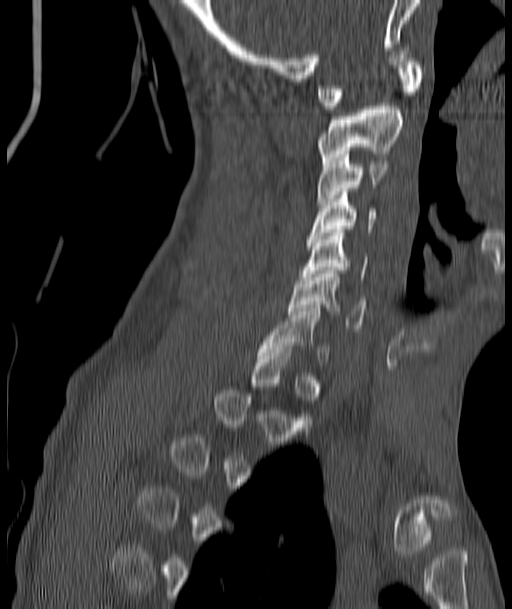

Spine CT · sagittal reformat · bone-window reconstruction

Box edges are left/top/right/bottom in pixels. A vertebra is boxed only from the first to the last slice where its cross-section is at least a third of its largest; slices outside that range leave it without a box. 7 vertebrae labeled — C7 at left=258, top=308, right=329, bottom=365; C6 at left=288, top=270, right=364, bottom=328; C5 at left=302, top=229, right=367, bottom=280; C4 at left=307, top=192, right=375, bottom=242; C3 at left=318, top=151, right=387, bottom=204; C2 at left=318, top=106, right=402, bottom=163; C1 at left=318, top=55, right=422, bottom=109.